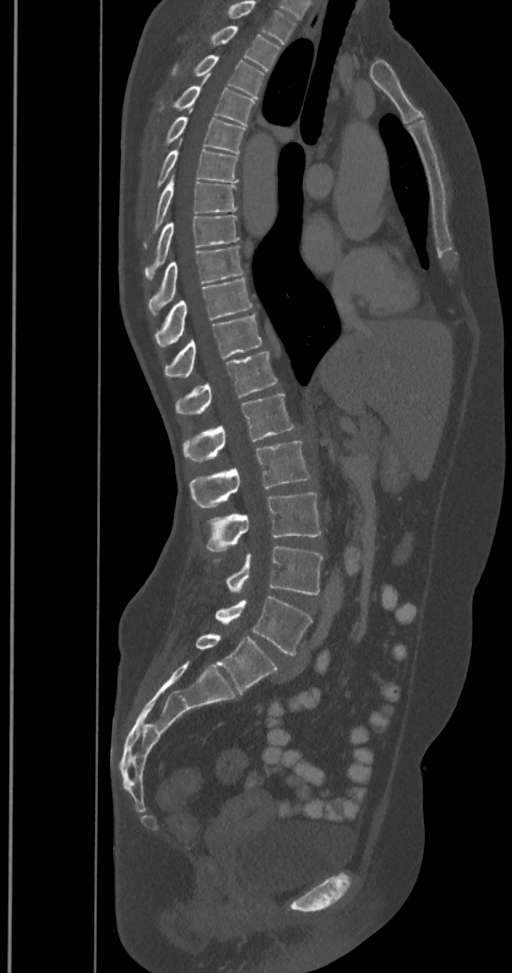 Spine computed tomography. sagittal reformat. W/L 1800/400 HU. 350 mm across the image. Each box given as x1,y1,x2,y2.
Labels in this scan begin with T2 at the top and end with L6 at the bottom.
These labels give the spine a sixth lumbar vertebra, L6, below L5.
Vertebra bounding boxes:
- T2: x1=210, y1=25, x2=280, y2=71
- T3: x1=174, y1=54, x2=264, y2=99
- T4: x1=174, y1=75, x2=255, y2=125
- T5: x1=165, y1=108, x2=246, y2=153
- T6: x1=153, y1=140, x2=237, y2=186
- T7: x1=145, y1=174, x2=237, y2=247
- T8: x1=145, y1=216, x2=239, y2=278
- T9: x1=148, y1=246, x2=243, y2=314
- T10: x1=155, y1=278, x2=252, y2=347
- T11: x1=164, y1=313, x2=261, y2=377
- T12: x1=175, y1=352, x2=277, y2=414
- L1: x1=183, y1=394, x2=294, y2=461
- L2: x1=190, y1=441, x2=310, y2=507
- L3: x1=206, y1=492, x2=321, y2=551
- L4: x1=227, y1=546, x2=322, y2=594
- L5: x1=215, y1=595, x2=312, y2=655
- L6: x1=196, y1=633, x2=277, y2=694